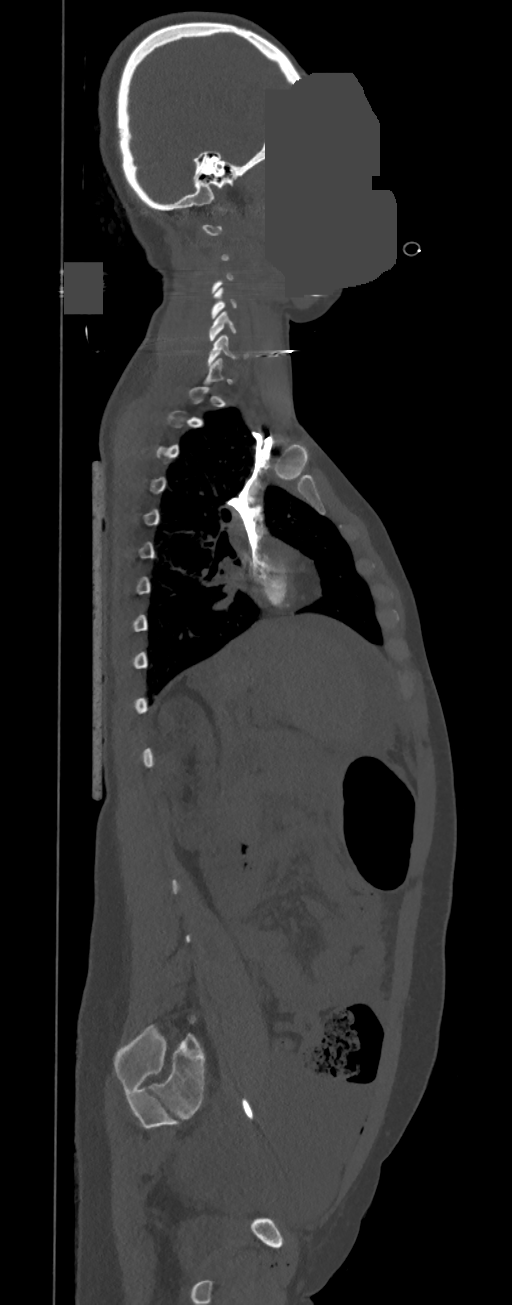

CT · sagittal view · some of the image was removed or blocked out with constant pixels. Coordinates as <box>x1,y1,x2,y2</box>. A vertebra gets a box only on the slices from the first to the last where its cross-section is at least a third of its largest; on a slice outside that range it gets none. Vertebrae labeled: C6 at <box>207,334,248,366</box>, C5 at <box>208,311,236,340</box>, C4 at <box>210,287,236,319</box>.